CT; sagittal view; bone window; the image spans 486 mm across; 607x607 px
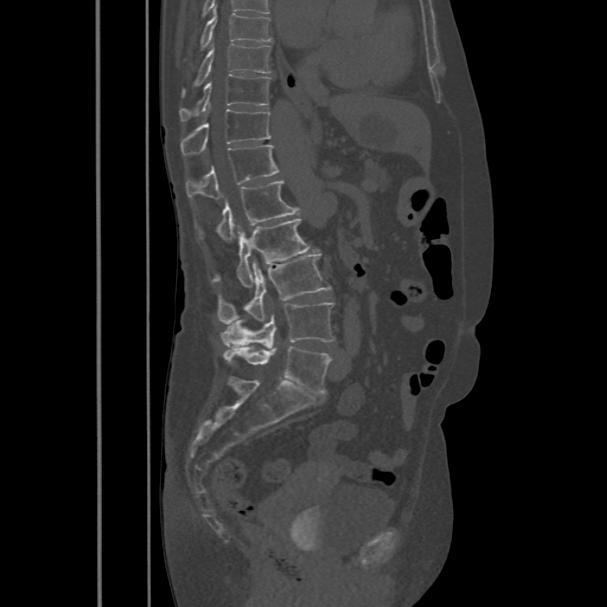 <vertebrae><v name="T8" x1="200" y1="8" x2="272" y2="50"/><v name="T9" x1="181" y1="43" x2="271" y2="96"/><v name="T10" x1="179" y1="75" x2="271" y2="121"/><v name="T11" x1="180" y1="108" x2="271" y2="155"/><v name="T12" x1="186" y1="145" x2="279" y2="199"/><v name="L1" x1="197" y1="181" x2="299" y2="242"/><v name="L2" x1="211" y1="218" x2="310" y2="287"/><v name="L3" x1="217" y1="253" x2="331" y2="324"/><v name="L4" x1="221" y1="302" x2="334" y2="349"/><v name="L5" x1="223" y1="346" x2="331" y2="392"/></vertebrae>